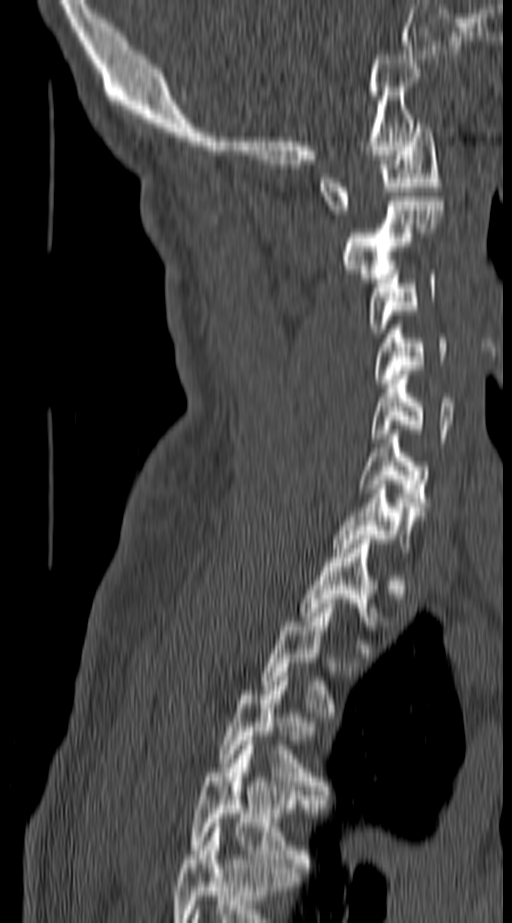
CT. sagittal view. bone-window reconstruction
Boxes are (x1, y1, x2, y2) in pixels. Labels in this scan begin with C1 at the top and end with T4 at the bottom. 11 vertebrae labeled — T4 at (192, 741, 315, 868); T3 at (221, 672, 326, 794); T2 at (261, 599, 357, 717); T1 at (301, 535, 377, 648); C7 at (334, 480, 414, 548); C6 at (359, 430, 428, 511); C5 at (371, 370, 458, 442); C4 at (374, 329, 447, 383); C3 at (367, 270, 436, 333); C2 at (341, 201, 443, 282); C1 at (320, 123, 441, 214).